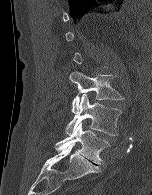

CT, spine. sagittal view. Bone window (WL 400, WW 1800)

Boxes are given in columns x1, y1, x2, y2, the pixel coordinates of their top-left and bottom-right corners.
A vertebra is boxed only from the first to the last slice where its cross-section is at least a third of its largest; slices outside that range leave it without a box.
| vertebra | x1 | y1 | x2 | y2 |
|---|---|---|---|---|
| L3 | 69 | 71 | 123 | 113 |
| L4 | 65 | 94 | 121 | 135 |
| L5 | 55 | 122 | 109 | 164 |